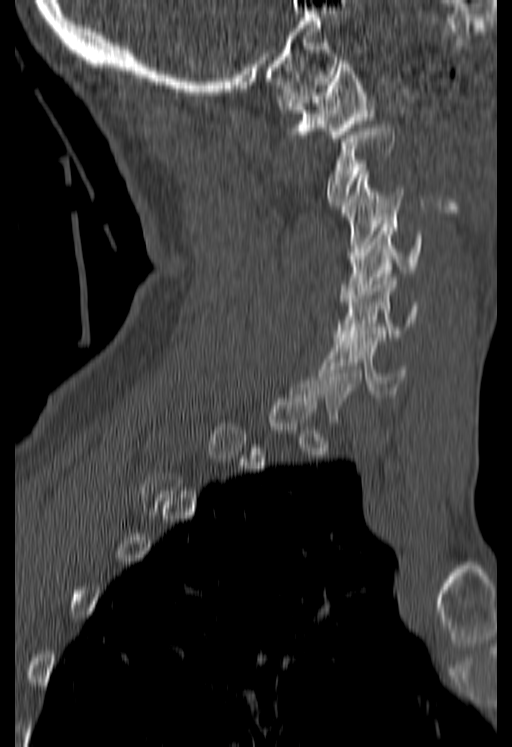

CT spine. the image spans 180 mm across. sagittal view. 512x747 px
Bounding boxes as [x1, y1, x2, y2] in pixel coordinates.
Not every vertebra on this slice has a box: a vertebra is boxed only from the first to the last slice where its cross-section is at least a third of its largest, and this slice is outside that range for at least one of them.
C6: [321, 331, 407, 394]
C5: [334, 274, 418, 340]
C4: [339, 220, 421, 301]
C3: [342, 171, 403, 259]
C2: [325, 124, 395, 205]
C1: [278, 60, 373, 141]